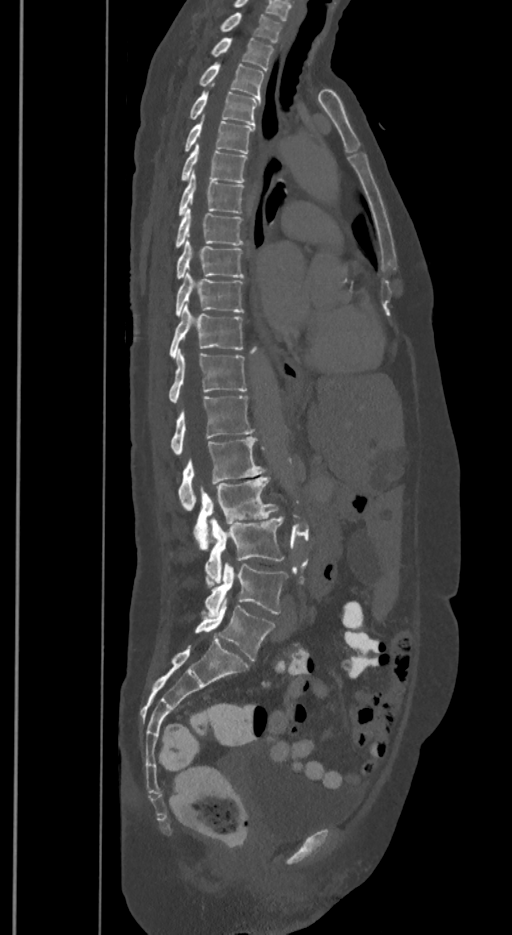 Spine computed tomography — sagittal view
In these labels the spine has an L6, a sixth lumbar vertebra below L5.
<vertebrae><v name="T1" x1="219" y1="12" x2="281" y2="42"/><v name="T2" x1="210" y1="38" x2="274" y2="69"/><v name="T3" x1="199" y1="63" x2="264" y2="98"/><v name="T4" x1="188" y1="91" x2="259" y2="125"/><v name="T5" x1="184" y1="121" x2="253" y2="153"/><v name="T6" x1="181" y1="144" x2="247" y2="182"/><v name="T7" x1="178" y1="171" x2="245" y2="216"/><v name="T8" x1="175" y1="208" x2="243" y2="248"/><v name="T9" x1="177" y1="240" x2="245" y2="278"/><v name="T10" x1="175" y1="273" x2="243" y2="315"/><v name="T11" x1="169" y1="304" x2="243" y2="357"/><v name="T12" x1="168" y1="352" x2="246" y2="403"/><v name="L1" x1="171" y1="396" x2="253" y2="455"/><v name="L2" x1="178" y1="436" x2="264" y2="510"/><v name="L3" x1="193" y1="477" x2="277" y2="549"/><v name="L4" x1="205" y1="516" x2="284" y2="588"/><v name="L5" x1="205" y1="563" x2="287" y2="616"/><v name="L6" x1="195" y1="599" x2="275" y2="660"/></vertebrae>